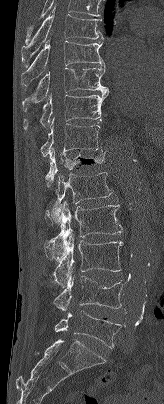
CT, spine. sagittal view. 164x404 px. the image spans 164 mm across

Boxes: x1:y1:x2:y2 in pixels.
T7: 21:6:104:67
T8: 21:39:104:87
T9: 22:64:108:111
T10: 23:93:108:131
T11: 40:118:104:157
T12: 45:148:106:187
L1: 45:172:112:226
L2: 45:201:122:260
L3: 53:233:123:288
L4: 53:268:123:310
L5: 54:311:122:348